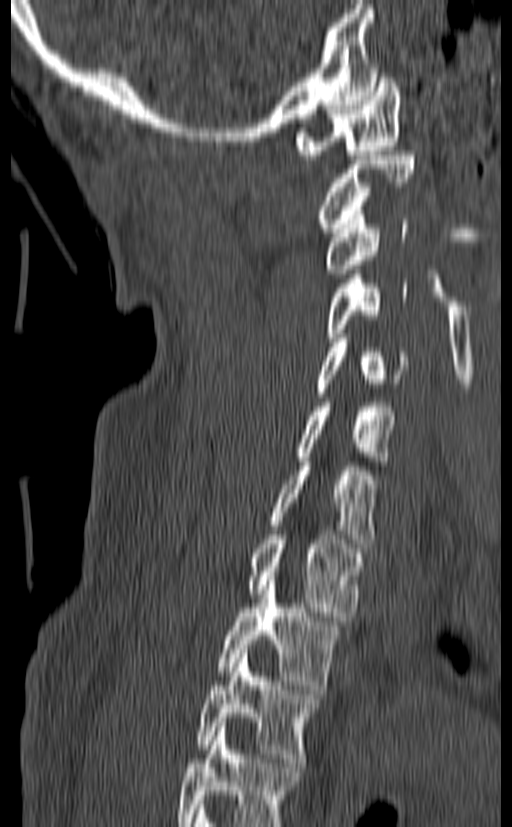
CT — sagittal view — 512x827 px
Each box is [x1, y1, x2, y2] in pixels: top-left corner, then bottom-right corner.
In this scan, the topmost labeled vertebra is C1 and the lowest is T3.
{"vertebrae":{"T3":[195,649,322,762],"T2":[217,576,342,689],"T1":[246,530,366,621],"C7":[269,457,377,548],"C6":[294,398,397,465],"C5":[312,338,408,401],"C4":[323,274,407,342],"C3":[323,210,409,273],"C2":[316,151,415,232],"C1":[295,69,401,159]}}